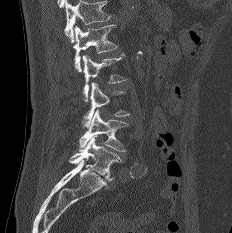
Spine computed tomography; sagittal view; 232 mm image width
Each vertebra maps to its box as [x1, y1, x2, y2], the pixel coordinates of its top-left and bottom-right corners.
A vertebra cut off by the top edge of the scan is not labeled and has no box.
{"vertebrae":{"L1":[74,24,117,72],"L2":[83,53,125,101],"L3":[82,82,129,128],"L4":[78,109,128,152],"L5":[69,135,121,181]}}